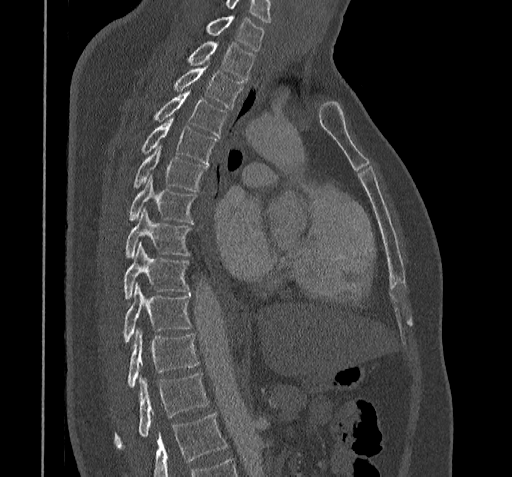

Computed tomography of the spine · sagittal view
Each box given as x1,y1,x2,y2. No box is given to a vertebra that the bottom edge of the scan cuts off. The highest labeled vertebra in this scan is C7; the lowest is T11. 12 vertebrae labeled — T11 at x1=114, y1=374, x2=209, y2=447; T10 at x1=127, y1=329, x2=199, y2=388; T9 at x1=124, y1=282, x2=191, y2=342; T8 at x1=124, y1=243, x2=190, y2=300; T7 at x1=125, y1=209, x2=190, y2=258; T6 at x1=128, y1=176, x2=196, y2=222; T5 at x1=133, y1=145, x2=207, y2=191; T4 at x1=141, y1=117, x2=217, y2=164; T3 at x1=154, y1=90, x2=226, y2=136; T2 at x1=173, y1=66, x2=242, y2=108; T1 at x1=187, y1=42, x2=255, y2=81; C7 at x1=206, y1=16, x2=264, y2=51.